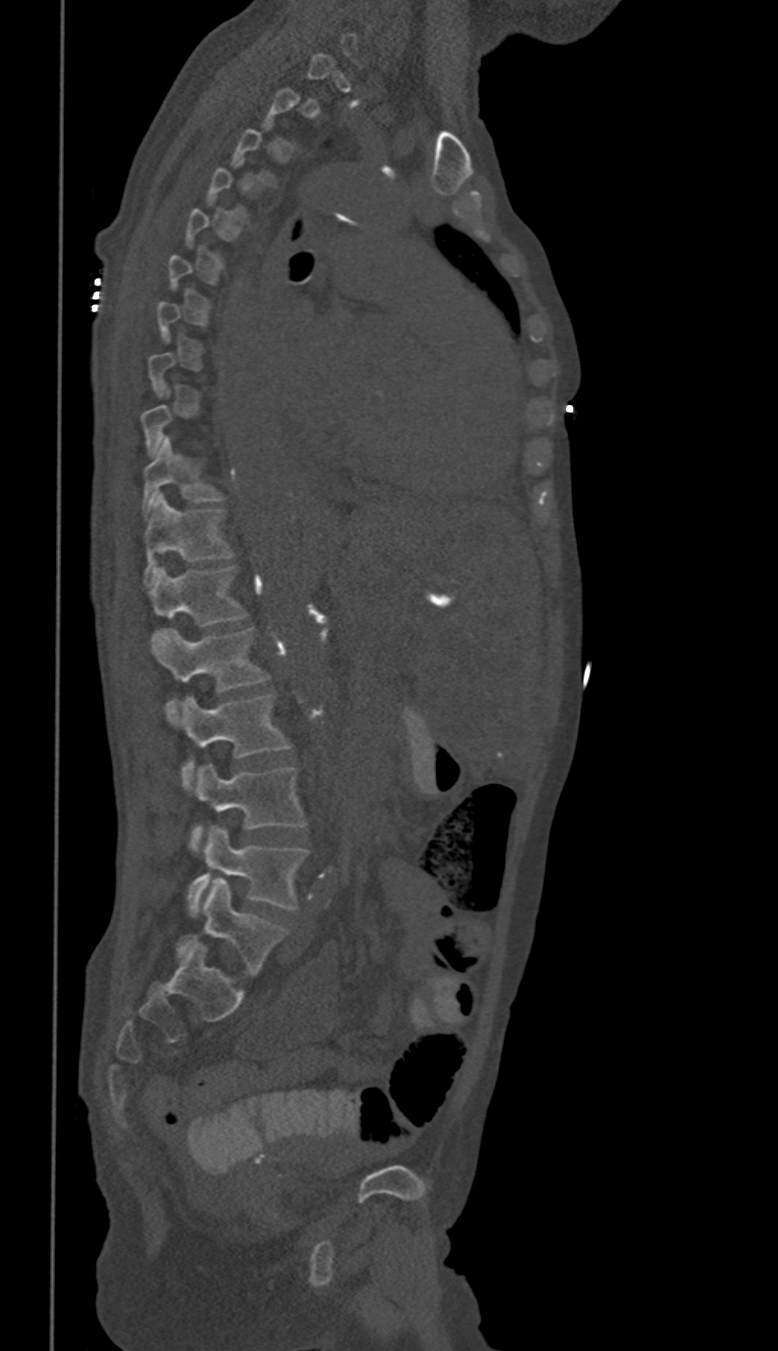
Spine CT. sagittal reformat. 350 mm across the image
Each box given as x1,y1,x2,y2.
A vertebra is boxed only from the first to the last slice where its cross-section is at least a third of its largest; slices outside that range leave it without a box.
These labels give this spine no T12: after T11 the next vertebra is L1.
Vertebra bounding boxes:
- T10: x1=141, y1=436, x2=224, y2=517
- T11: x1=144, y1=494, x2=231, y2=584
- L1: x1=150, y1=567, x2=245, y2=642
- L2: x1=158, y1=629, x2=268, y2=724
- L3: x1=179, y1=694, x2=289, y2=788
- L4: x1=191, y1=763, x2=306, y2=851
- L5: x1=187, y1=827, x2=307, y2=917